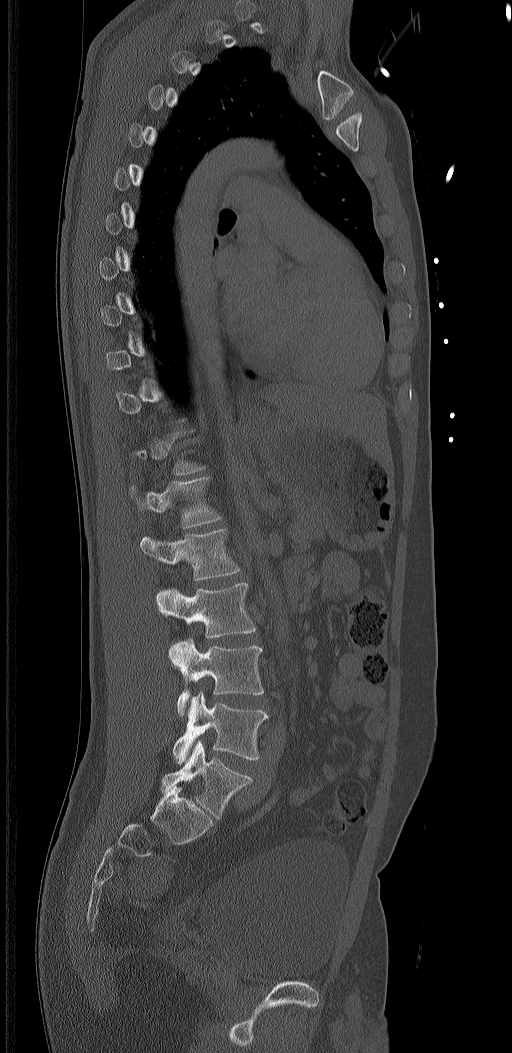

Computed tomography of the spine · sagittal reformat
Boxes: x1:y1:x2:y2 in pixels.
Not every vertebra on this slice has a box: a vertebra is boxed only from the first to the last slice where its cross-section is at least a third of its largest, and this slice is outside that range for at least one of them.
In these labels the spine has an L6, a sixth lumbar vertebra below L5.
L1: 130:477:222:527
L2: 140:528:239:580
L3: 157:583:255:638
L4: 173:639:263:716
L5: 173:692:268:764
L6: 161:740:252:819